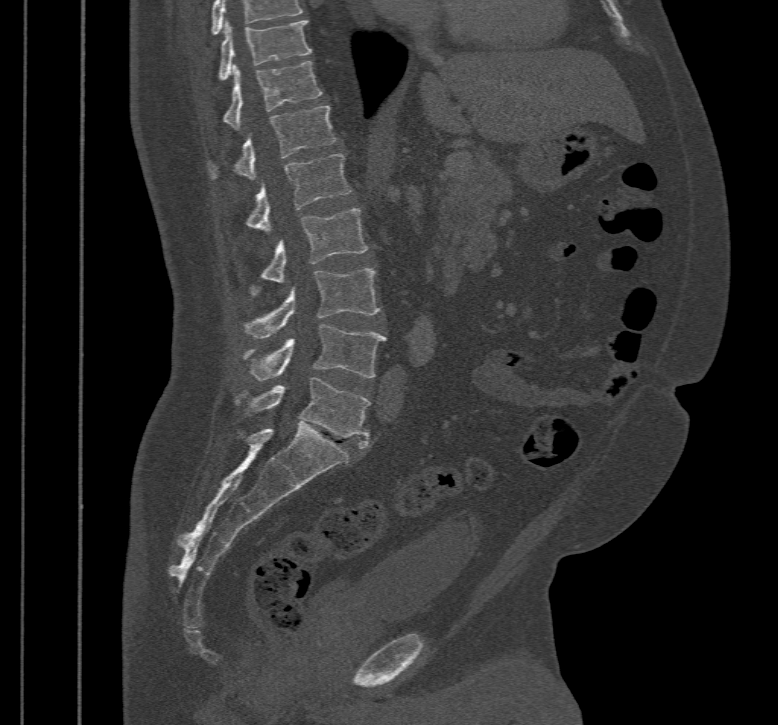
Computed tomography of the spine; sagittal view; bone window

Boxes are given in columns x1, y1, x2, y2, the pixel coordinates of their top-left and bottom-right corners.
This scan's labels start at T10 at the top and end at L5 at the bottom.
| vertebra | x1 | y1 | x2 | y2 |
|---|---|---|---|---|
| T10 | 219 | 20 | 312 | 79 |
| T11 | 223 | 60 | 323 | 128 |
| T12 | 210 | 105 | 335 | 179 |
| L1 | 246 | 153 | 350 | 234 |
| L2 | 261 | 209 | 367 | 283 |
| L3 | 245 | 268 | 379 | 338 |
| L4 | 243 | 324 | 385 | 380 |
| L5 | 246 | 377 | 370 | 448 |